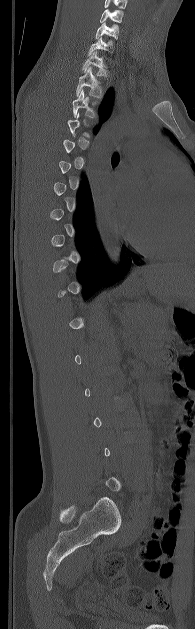

CT spine — sagittal view — 195x629 px
Each vertebra maps to its box as [x1, y1, x2, y2], the pixel coordinates of its top-left and bottom-right corners.
A vertebra gets a box only on the slices from the first to the last where its cross-section is at least a third of its largest; on a slice outside that range it gets none.
{"vertebrae":{"C5":[100,9,123,22],"C6":[95,22,119,39],"C7":[88,37,112,55],"T1":[82,50,107,76],"T2":[76,67,102,97],"T3":[72,89,96,117]}}